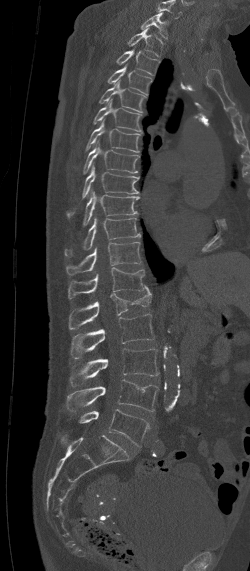 CT; sagittal reformat; Bone window (WL 400, WW 1800); the image spans 250 mm across

Boxes: x1:y1:x2:y2 in pixels.
In this scan, the topmost labeled vertebra is C7 and the lowest is L5.
C7: 141:12:169:39
T1: 127:27:163:57
T2: 116:46:160:74
T3: 108:63:151:95
T4: 99:80:146:112
T5: 92:98:142:132
T6: 84:118:141:153
T7: 83:138:139:174
T8: 66:161:140:216
T9: 84:191:139:224
T10: 65:218:141:256
T11: 66:242:140:274
T12: 68:267:145:300
L1: 69:286:152:329
L2: 70:314:155:358
L3: 70:348:158:386
L4: 66:379:158:411
L5: 79:409:150:446